CT; sagittal plane, index 39; 160 mm wide
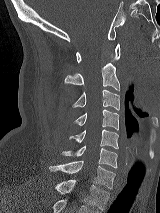

Boxes are given in columns x1, y1, x2, y2, the pixel coordinates of their top-left and bottom-right corners.
| vertebra | x1 | y1 | x2 | y2 |
|---|---|---|---|---|
| T1 | 55 | 178 | 109 | 210 |
| C7 | 50 | 160 | 115 | 188 |
| C6 | 62 | 146 | 117 | 168 |
| C5 | 69 | 129 | 118 | 148 |
| C4 | 74 | 109 | 118 | 129 |
| C3 | 72 | 89 | 119 | 110 |
| C2 | 64 | 63 | 119 | 90 |
| C1 | 76 | 43 | 120 | 62 |